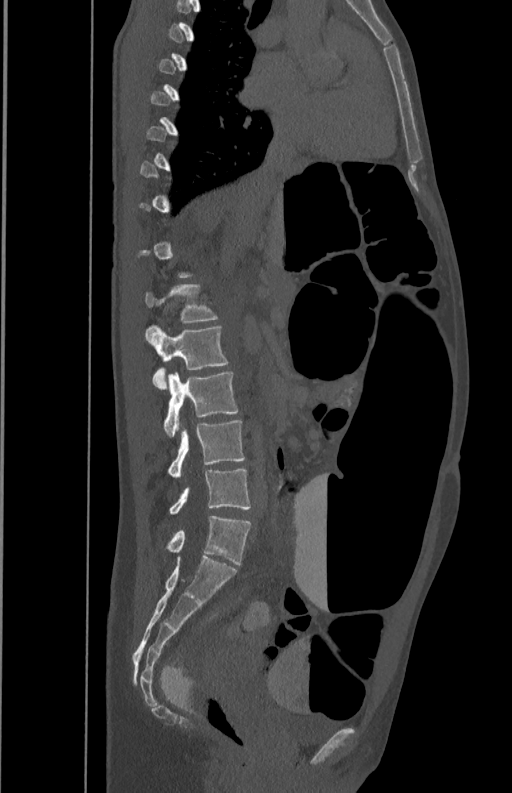
CT — sagittal reformat — bone window — 512x793 px
Box edges are left/top/right/bottom in pixels.
Each vertebra is boxed only on the slices from the first to the last where its cross-section reaches a third of its largest, so a slice outside that range leaves it unboxed.
Vertebra bounding boxes:
- L1: left=145, top=283, right=218, bottom=322
- L2: left=145, top=325, right=228, bottom=389
- L3: left=164, top=371, right=239, bottom=436
- L4: left=168, top=420, right=245, bottom=477
- L5: left=169, top=467, right=250, bottom=514